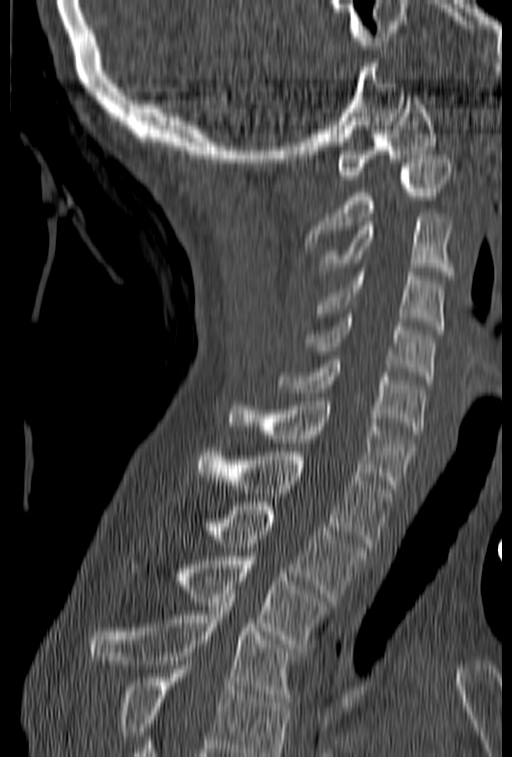 CT; sagittal view; bone window

Vertebrae that run past the bottom of the scan are left unlabeled.
<vertebrae><v name="T4" x1="88" y1="594" x2="298" y2="702"/><v name="T3" x1="133" y1="552" x2="331" y2="647"/><v name="T2" x1="170" y1="502" x2="368" y2="601"/><v name="T1" x1="198" y1="448" x2="392" y2="547"/><v name="C7" x1="225" y1="397" x2="415" y2="488"/><v name="C6" x1="276" y1="360" x2="425" y2="434"/><v name="C5" x1="305" y1="314" x2="435" y2="380"/><v name="C4" x1="316" y1="272" x2="445" y2="334"/><v name="C3" x1="318" y1="213" x2="455" y2="279"/><v name="C2" x1="304" y1="155" x2="452" y2="246"/><v name="C1" x1="336" y1="96" x2="436" y2="179"/></vertebrae>